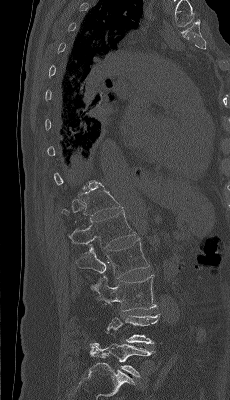 Spine computed tomography — sagittal reformat — bone-window reconstruction
Each box is [x1, y1, x2, y2] in pixels: top-left corner, then bottom-right corner.
A vertebra gets a box only on the slices from the first to the last where its cross-section is at least a third of its largest; on a slice outside that range it gets none.
{"vertebrae":{"T12":[60,184,122,218],"L1":[69,209,135,248],"L2":[77,239,150,278],"L3":[90,275,156,311],"L4":[104,304,159,343],"L5":[90,343,154,377]}}